CT; Sagittal slice 74/204; image width 204 mm; W/L 1800/400 HU
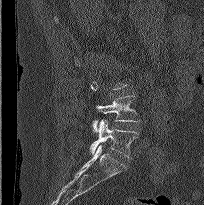 Columns x1, y1, x2, y2 give each box's top-left and bottom-right pixels.
Each vertebra is boxed only on the slices from the first to the last where its cross-section reaches a third of its largest, so a slice outside that range leaves it unboxed.
| vertebra | x1 | y1 | x2 | y2 |
|---|---|---|---|---|
| L4 | 92 | 95 | 140 | 132 |
| L5 | 89 | 119 | 138 | 158 |